Spine computed tomography. sagittal plane, index 99. bone window. 228x349 px
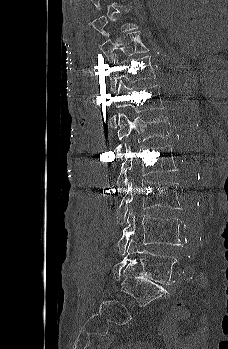 Boxes are given in columns x1, y1, x2, y2, the pixel coordinates of their top-left and bottom-right corners.
| vertebra | x1 | y1 | x2 | y2 |
|---|---|---|---|---|
| T9 | 88 | 8 | 138 | 35 |
| T10 | 99 | 31 | 149 | 63 |
| T11 | 109 | 55 | 156 | 93 |
| T12 | 109 | 80 | 164 | 128 |
| L1 | 114 | 113 | 170 | 152 |
| L2 | 116 | 142 | 178 | 185 |
| L3 | 116 | 180 | 182 | 222 |
| L4 | 117 | 209 | 182 | 254 |
| L5 | 113 | 239 | 177 | 284 |